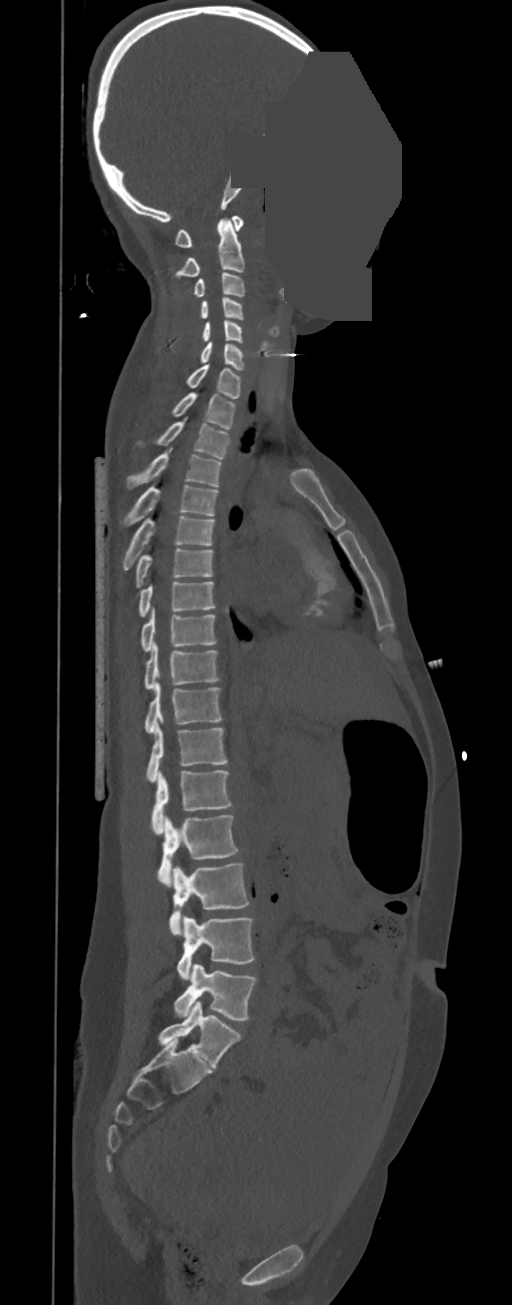 CT. image 350 mm wide. sagittal view. bone window. part of the image is a flat gray fill, not anatomy

Box edges are left/top/right/bottom in pixels.
These labels give this spine no T12: after T11 the next vertebra is L1.
Vertebra bounding boxes:
- C1: left=175, top=216, right=243, bottom=247
- C2: left=174, top=217, right=245, bottom=277
- C3: left=193, top=273, right=245, bottom=297
- C4: left=200, top=298, right=243, bottom=319
- C5: left=202, top=320, right=243, bottom=343
- C6: left=200, top=342, right=245, bottom=370
- C7: left=186, top=365, right=242, bottom=399
- T1: left=171, top=392, right=236, bottom=430
- T2: left=137, top=417, right=230, bottom=460
- T3: left=127, top=448, right=221, bottom=489
- T4: left=122, top=484, right=218, bottom=526
- T5: left=123, top=516, right=214, bottom=569
- T6: left=136, top=548, right=214, bottom=588
- T7: left=139, top=582, right=215, bottom=616
- T8: left=140, top=608, right=217, bottom=652
- T9: left=145, top=642, right=218, bottom=689
- T10: left=145, top=682, right=221, bottom=734
- T11: left=146, top=723, right=227, bottom=782
- L1: left=152, top=770, right=231, bottom=835
- L2: left=158, top=815, right=239, bottom=886
- L3: left=169, top=862, right=249, bottom=935
- L4: left=177, top=915, right=255, bottom=979
- L5: left=174, top=964, right=256, bottom=1019